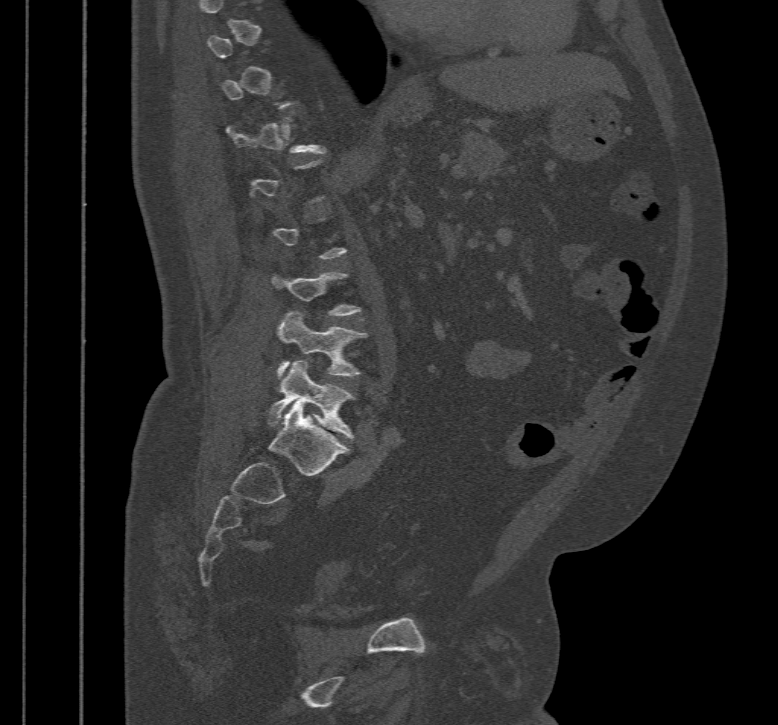

CT, spine. sagittal reformat. 467 mm image width
Boxes: x1:y1:x2:y2 in pixels. Each vertebra is boxed only on the slices from the first to the last where its cross-section reaches a third of its largest, so a slice outside that range leaves it unboxed. Vertebrae labeled: L5 at 266:360:356:439, L4 at 277:310:367:378, L3 at 272:272:362:316.